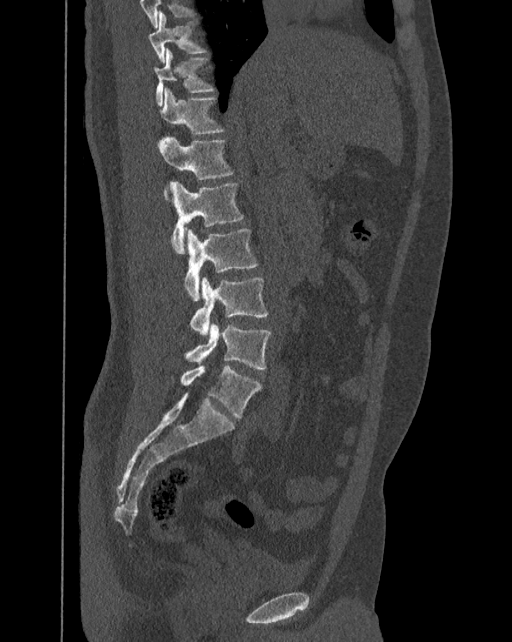
CT spine; sagittal reformat; bone window
Each box given as x1,y1,x2,y2.
The labels name a sixth lumbar vertebra for this spine: L6, after L5.
| vertebra | x1 | y1 | x2 | y2 |
|---|---|---|---|---|
| T10 | 147 | 11 | 205 | 62 |
| T11 | 154 | 48 | 213 | 106 |
| T12 | 159 | 87 | 222 | 134 |
| L1 | 158 | 136 | 233 | 180 |
| L2 | 170 | 182 | 243 | 253 |
| L3 | 184 | 228 | 257 | 300 |
| L4 | 191 | 277 | 268 | 336 |
| L5 | 185 | 322 | 271 | 369 |
| L6 | 181 | 364 | 261 | 417 |